CT spine · sagittal plane, index 223 · 512x511 px · the image spans 445 mm across
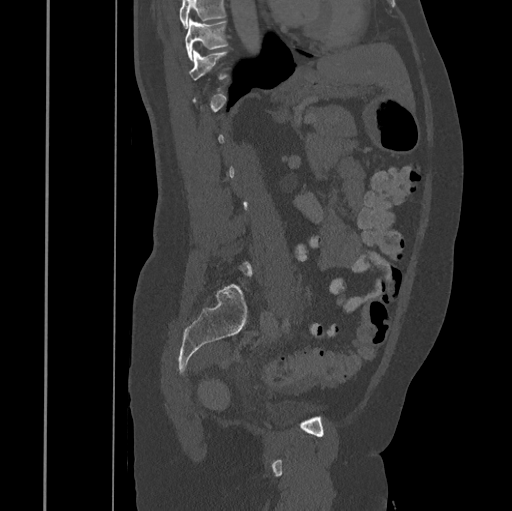

A vertebra is boxed only from the first to the last slice where its cross-section is at least a third of its largest; slices outside that range leave it without a box.
Where the top of the scan cuts through a vertebra, that vertebra gets no label or box.
<vertebrae><v name="T10" x1="185" y1="20" x2="228" y2="60"/><v name="T11" x1="190" y1="51" x2="229" y2="81"/></vertebrae>